Spine CT. image width 350 mm. sagittal reformat
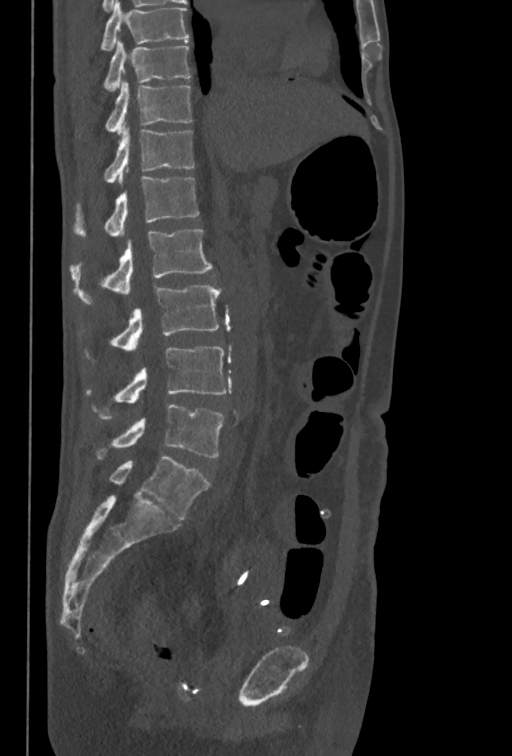 Boxes: x1:y1:x2:y2 in pixels.
The highest labeled vertebra in this scan is T10; the lowest is L5.
T10: 104:42:190:91
T11: 105:82:192:135
T12: 104:122:193:183
L1: 72:176:199:237
L2: 70:229:212:304
L3: 85:284:220:361
L4: 86:346:226:419
L5: 96:404:224:458